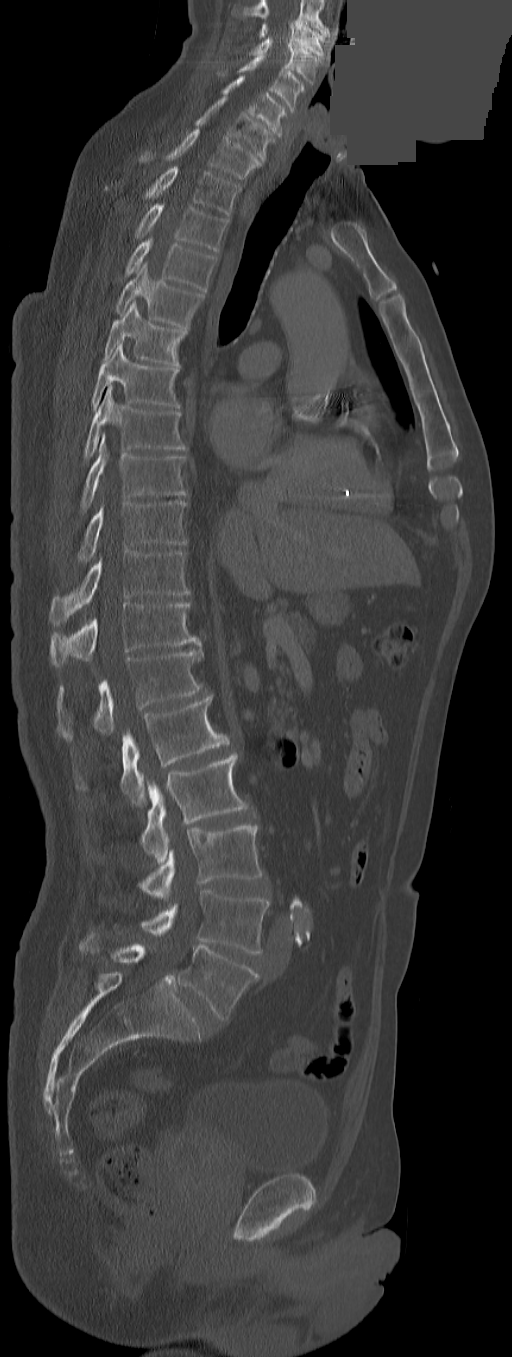
Spine computed tomography · sagittal view · some of the image was removed or blocked out with constant pixels. Each box given as x1,y1,x2,y2.
In this scan, the topmost labeled vertebra is C3 and the lowest is L5.
The labels name an extra thoracic vertebra here, T13, which comes after T12 and before L1.
| vertebra | x1 | y1 | x2 | y2 |
|---|---|---|---|---|
| L5 | 178 | 944 | 258 | 1020 |
| L4 | 141 | 889 | 269 | 953 |
| L3 | 139 | 824 | 263 | 899 |
| L2 | 141 | 754 | 249 | 864 |
| L1 | 76 | 694 | 228 | 804 |
| T13 | 57 | 650 | 202 | 740 |
| T12 | 50 | 602 | 200 | 666 |
| T11 | 50 | 551 | 189 | 626 |
| T10 | 76 | 500 | 186 | 563 |
| T9 | 80 | 435 | 188 | 513 |
| T8 | 83 | 386 | 186 | 461 |
| T7 | 92 | 341 | 179 | 408 |
| T6 | 104 | 301 | 186 | 371 |
| T5 | 115 | 263 | 203 | 330 |
| T4 | 125 | 238 | 216 | 292 |
| T3 | 134 | 204 | 228 | 251 |
| T2 | 145 | 166 | 240 | 216 |
| T1 | 139 | 129 | 261 | 179 |
| C7 | 195 | 98 | 274 | 161 |
| C6 | 223 | 76 | 288 | 136 |
| C5 | 236 | 55 | 304 | 110 |
| C4 | 249 | 36 | 322 | 84 |
| C3 | 259 | 20 | 324 | 56 |